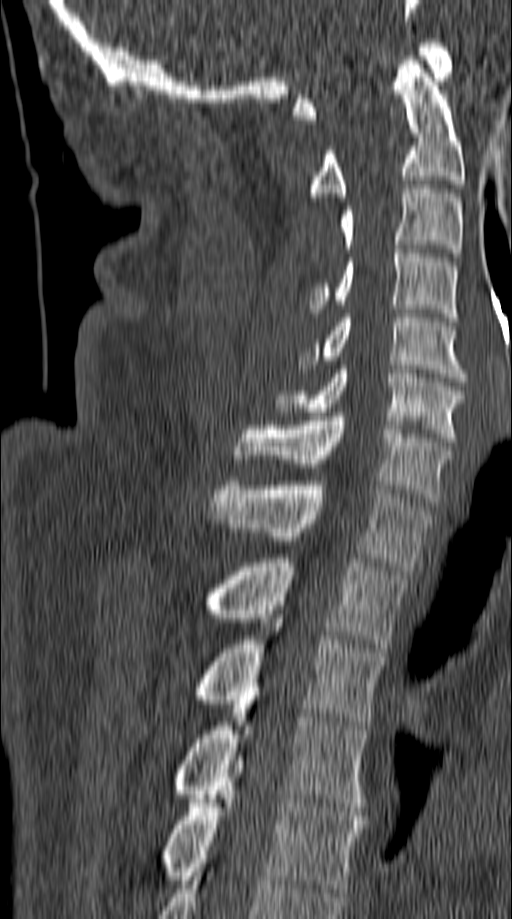 CT spine — sagittal view — 512x919 px — image width 149 mm
Box values are [left, top, right, bottom] in pixels.
{"vertebrae":{"C1":[293,39,452,119],"C2":[310,56,464,197],"C3":[341,185,461,257],"C4":[310,245,457,321],"C5":[298,314,466,381],"C6":[275,365,464,441],"C7":[235,412,450,502],"T1":[211,481,433,570],"T2":[204,558,406,652],"T3":[194,619,385,725],"T4":[173,696,368,811],"T5":[163,756,364,892]}}